CT spine · 322 mm wide · sagittal view · bone-window reconstruction
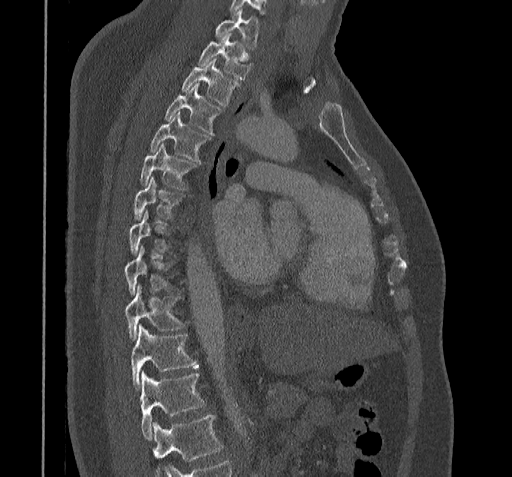
A vertebra is boxed only from the first to the last slice where its cross-section is at least a third of its largest; slices outside that range leave it without a box.
Where the bottom of the scan cuts through a vertebra, that vertebra gets no label or box.
<vertebrae><v name="C7" x1="214" y1="9" x2="258" y2="48"/><v name="T1" x1="198" y1="33" x2="250" y2="79"/><v name="T2" x1="181" y1="59" x2="239" y2="105"/><v name="T3" x1="165" y1="84" x2="221" y2="134"/><v name="T4" x1="149" y1="113" x2="209" y2="161"/><v name="T5" x1="140" y1="145" x2="198" y2="189"/><v name="T6" x1="133" y1="177" x2="182" y2="219"/><v name="T8" x1="124" y1="246" x2="172" y2="294"/><v name="T9" x1="125" y1="285" x2="183" y2="341"/><v name="T10" x1="132" y1="325" x2="199" y2="388"/><v name="T11" x1="140" y1="372" x2="204" y2="438"/></vertebrae>